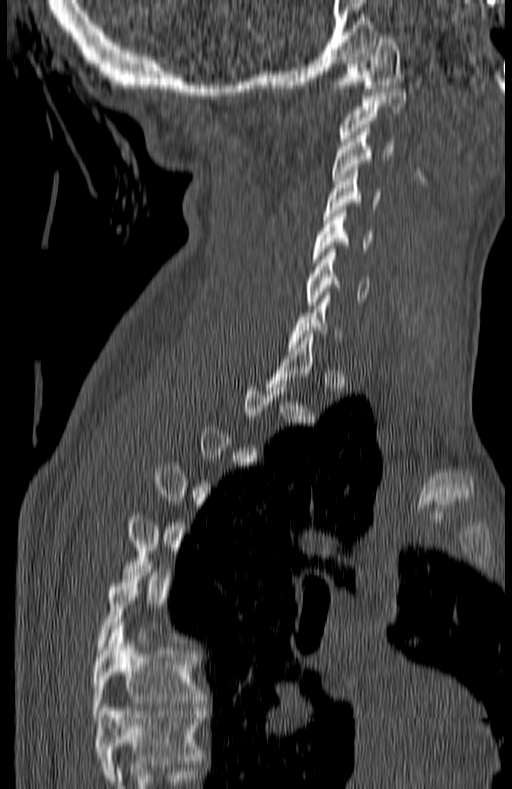 Computed tomography of the spine. sagittal reformat. the image spans 180 mm across
Box edges are left/top/right/bottom in pixels.
A vertebra gets a box only on the slices from the first to the last where its cross-section is at least a third of its largest; on a slice outside that range it gets none.
In this scan, the topmost labeled vertebra is C1 and the lowest is T7.
C1: left=334, top=39, right=404, bottom=91
C2: left=339, top=89, right=407, bottom=141
C3: left=332, top=128, right=393, bottom=184
C4: left=322, top=171, right=381, bottom=219
C5: left=314, top=210, right=373, bottom=262
C6: left=305, top=249, right=370, bottom=305
T7: left=92, top=626, right=204, bottom=717